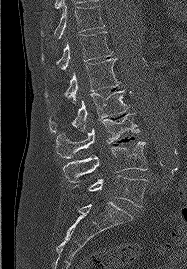

Spine CT · 187 mm image width · sagittal reformat

Coordinates as <box>x1,y1,x2,y2</box>.
Vertebra bounding boxes:
- T11: <box>41,2,104,38</box>
- T12: <box>42,31,112,69</box>
- L1: <box>45,58,120,103</box>
- L2: <box>49,90,128,134</box>
- L3: <box>56,114,140,158</box>
- L4: <box>63,142,147,182</box>
- L5: <box>76,175,147,207</box>